Spine CT · 461 mm image width · sagittal reformat
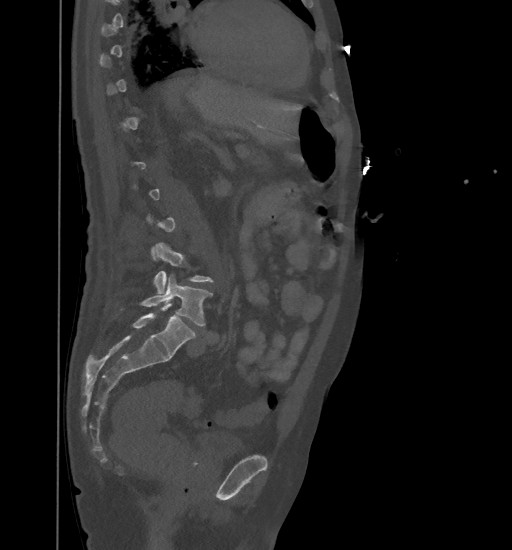

Each vertebra maps to its box as [x1, y1, x2, y2], the pixel coordinates of its top-left and bottom-right corners.
A vertebra is boxed only from the first to the last slice where its cross-section is at least a third of its largest; slices outside that range leave it without a box.
{"vertebrae":{"L5":[122,275,213,326],"L4":[152,242,213,293]}}